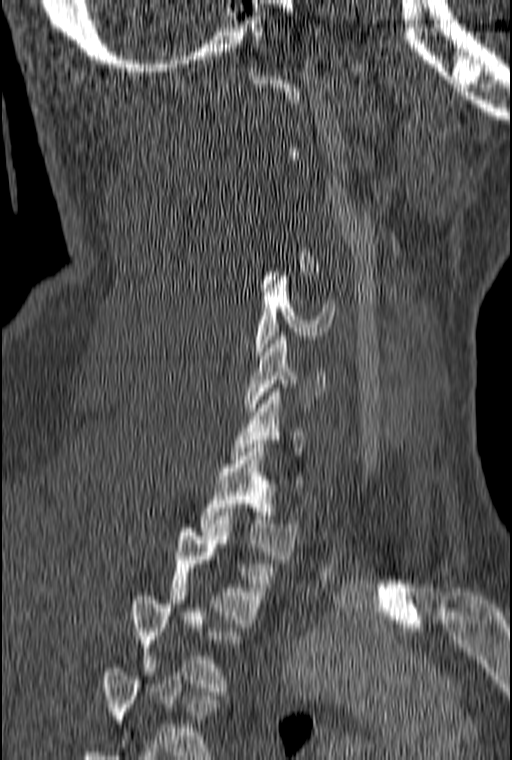 CT. sagittal view. bone window

Each vertebra maps to its box as [x1, y1, x2, y2], the pixel coordinates of its top-left and bottom-right corners.
Not every vertebra on this slice has a box: a vertebra is boxed only from the first to the last slice where its cross-section is at least a third of its largest, and this slice is outside that range for at least one of them.
This scan's labels start at C1 at the top and end at T3 at the bottom.
{"vertebrae":{"C5":[255,272,335,355],"C6":[246,336,325,411],"T1":[199,444,298,559],"T2":[170,520,275,623],"T3":[132,592,243,691]}}